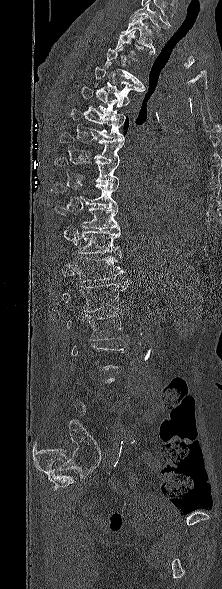

Spine computed tomography · image 222 mm wide · sagittal view · Bone window (WL 400, WW 1800) · 222x589 px
In the table, x1 and y1 are a box's top-left corner and x2 and y2 its bottom-right corner, in pixels.
Each vertebra is boxed only on the slices from the first to the last where its cross-section reaches a third of its largest, so a slice outside that range leaves it unboxed.
The highest labeled vertebra in this scan is T1; the lowest is L5.
| vertebra | x1 | y1 | x2 | y2 |
|---|---|---|---|---|
| T1 | 120 | 16 | 155 | 54 |
| T3 | 103 | 47 | 145 | 89 |
| T4 | 94 | 66 | 142 | 98 |
| T5 | 81 | 86 | 129 | 119 |
| T6 | 69 | 108 | 124 | 141 |
| T7 | 60 | 132 | 123 | 160 |
| T8 | 54 | 157 | 119 | 184 |
| T9 | 51 | 183 | 118 | 208 |
| T10 | 54 | 207 | 120 | 230 |
| T11 | 77 | 231 | 121 | 256 |
| T12 | 74 | 256 | 125 | 282 |
| L1 | 62 | 279 | 128 | 312 |
| L2 | 67 | 313 | 128 | 340 |